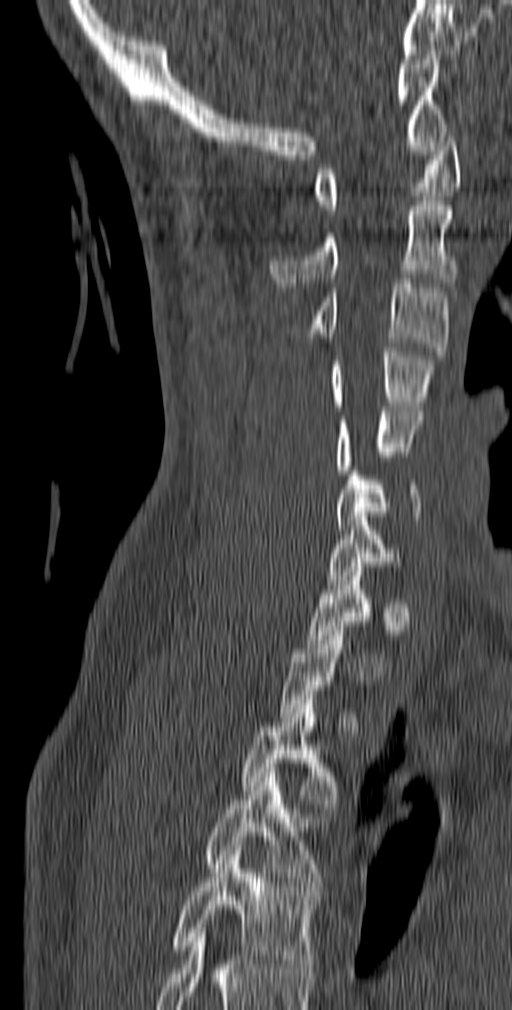

Computed tomography of the spine; sagittal view; Bone window (WL 400, WW 1800); 512x1010 px
Each box is [x1, y1, x2, y2] in pixels: top-left corner, then bottom-right corner.
Each vertebra is boxed only on the slices from the first to the last where its cross-section reaches a third of its largest, so a slice outside that range leaves it unboxed.
{"vertebrae":{"C1":[312,128,461,214],"C2":[270,201,458,287],"C3":[305,279,449,356],"C4":[330,347,436,410],"C5":[335,407,422,474],"C6":[334,466,421,529],"C7":[327,512,400,580],"T3":[240,695,336,808],"T4":[206,773,323,890],"T5":[173,850,318,973]}}